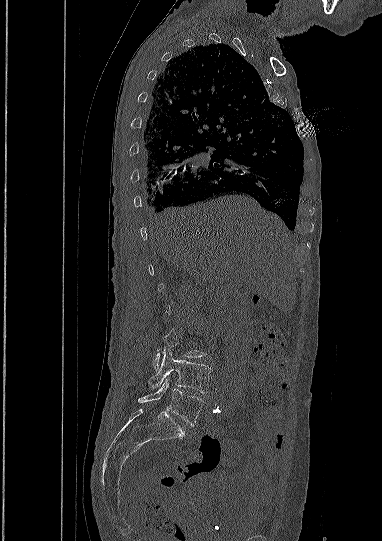

CT spine — sagittal view — W/L 1800/400 HU
A vertebra gets a box only on the slices from the first to the last where its cross-section is at least a third of its largest; on a slice outside that range it gets none.
<vertebrae><v name="L4" x1="149" y1="347" x2="211" y2="393"/><v name="L5" x1="138" y1="379" x2="204" y2="425"/></vertebrae>